CT spine. Sagittal slice 12/38. bone window. scan covers 7 annotated vertebrae
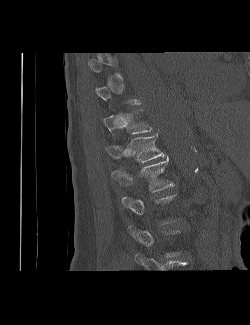
Boxes: x1 y1 x2 y2 (pixel coords, space-separated).
Not every vertebra on this slice has a box: a vertebra is boxed only from the first to the last slice where its cross-section is at least a third of its largest, and this slice is outside that range for at least one of them.
T11: 103 110 152 134
T12: 105 133 164 162
L1: 112 157 174 191